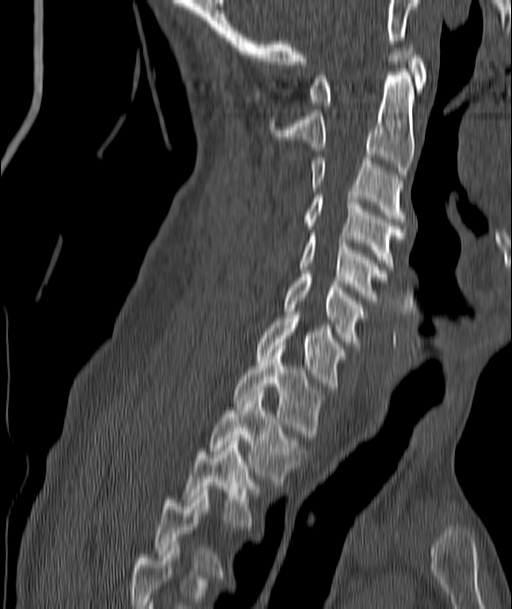
Spine CT. sagittal view. W/L 1800/400 HU. image 187 mm wide

Each box given as x1,y1,x2,y2.
This scan's labels start at C1 at the top and end at T4 at the bottom.
C1: x1=310, y1=44, x2=427, y2=109
C2: x1=269, y1=68, x2=413, y2=177
C3: x1=310, y1=157, x2=405, y2=221
C4: x1=305, y1=195, x2=405, y2=269
C5: x1=299, y1=233, x2=386, y2=300
C6: x1=283, y1=274, x2=364, y2=348
C7: x1=255, y1=315, x2=345, y2=389
T1: x1=234, y1=349, x2=323, y2=437
T2: x1=209, y1=394, x2=304, y2=485
T3: x1=184, y1=438, x2=263, y2=529
T4: x1=154, y1=493, x2=223, y2=574